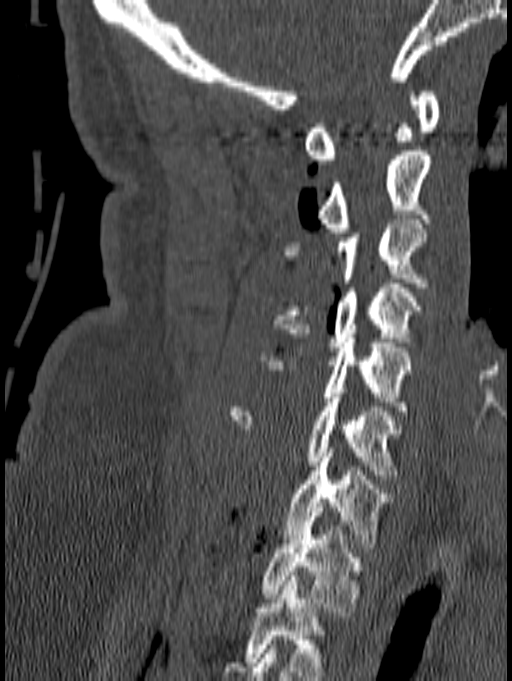

Spine computed tomography · sagittal reformat · bone-window reconstruction · 512x681 px
Labels in this scan begin with C1 at the top and end with T1 at the bottom.
<vertebrae><v name="C1" x1="304" y1="91" x2="440" y2="164"/><v name="C2" x1="316" y1="151" x2="430" y2="232"/><v name="C3" x1="285" y1="219" x2="427" y2="287"/><v name="C4" x1="273" y1="283" x2="423" y2="351"/><v name="C5" x1="258" y1="338" x2="413" y2="415"/><v name="C6" x1="230" y1="393" x2="404" y2="479"/><v name="C7" x1="285" y1="448" x2="392" y2="548"/><v name="T1" x1="261" y1="512" x2="366" y2="616"/></vertebrae>